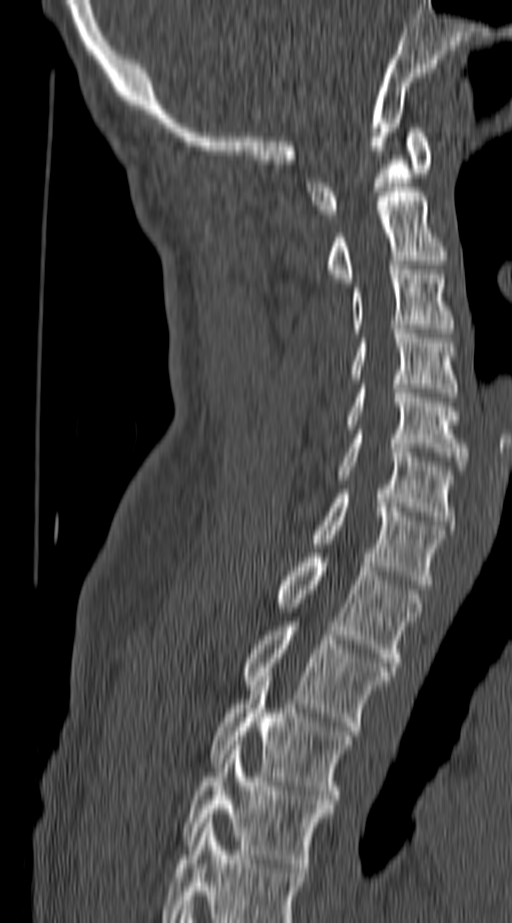

Spine CT — 140 mm wide — sagittal view — bone window
Boxes: x1:y1:x2:y2 in pixels.
In this scan, the topmost labeled vertebra is C1 and the lowest is T4.
Vertebra bounding boxes:
- C1: 305:128:432:218
- C2: 327:192:447:282
- C3: 351:265:454:333
- C4: 349:329:457:397
- C5: 345:384:468:470
- C6: 334:434:454:525
- C7: 309:494:447:584
- T1: 276:553:421:666
- T2: 243:626:392:730
- T3: 210:672:351:804
- T4: 181:745:333:872